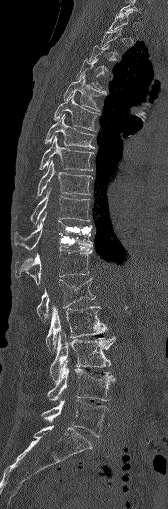

CT. sagittal view. bone-window reconstruction. image width 168 mm. 168x509 px
In the table, x1 and y1 are a box's top-left corner and x2 and y2 its bottom-right corner, in pixels.
A vertebra gets a box only on the slices from the first to the last where its cross-section is at least a third of its largest; on a slice outside that range it gets none.
| vertebra | x1 | y1 | x2 | y2 |
|---|---|---|---|---|
| T5 | 64 | 75 | 106 | 110 |
| T6 | 54 | 94 | 97 | 130 |
| T7 | 45 | 114 | 94 | 148 |
| T8 | 41 | 136 | 92 | 170 |
| T9 | 38 | 161 | 92 | 195 |
| T10 | 17 | 188 | 89 | 224 |
| T11 | 14 | 212 | 92 | 250 |
| T12 | 14 | 247 | 92 | 284 |
| L1 | 36 | 278 | 95 | 322 |
| L2 | 46 | 306 | 106 | 350 |
| L3 | 50 | 332 | 114 | 383 |
| L4 | 47 | 362 | 113 | 401 |
| L5 | 41 | 400 | 109 | 436 |